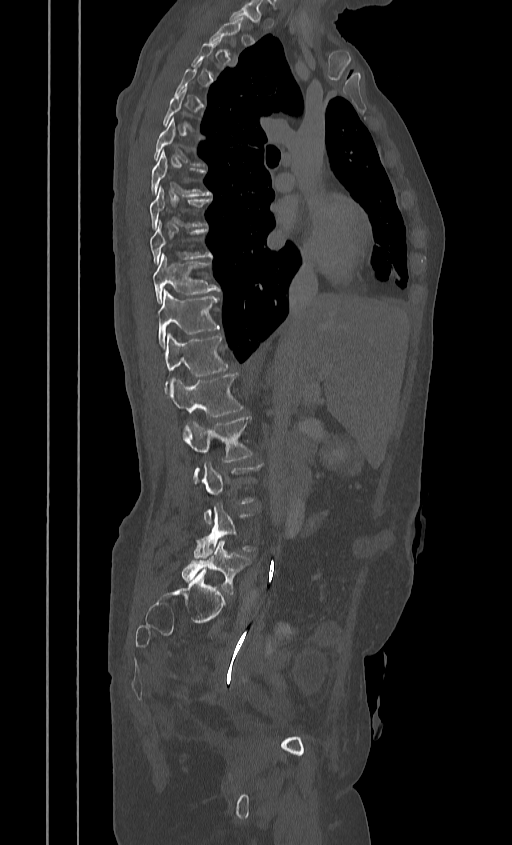
Spine CT — sagittal view — 512x845 px — 384 mm image width
Each vertebra is boxed only on the slices from the first to the last where its cross-section reaches a third of its largest, so a slice outside that range leaves it unboxed.
<vertebrae><v name="T6" x1="152" y1="116" x2="205" y2="166"/><v name="T7" x1="150" y1="151" x2="211" y2="196"/><v name="T8" x1="149" y1="185" x2="211" y2="230"/><v name="T9" x1="150" y1="220" x2="212" y2="264"/><v name="T10" x1="153" y1="253" x2="219" y2="303"/><v name="T11" x1="158" y1="289" x2="219" y2="347"/><v name="T12" x1="165" y1="333" x2="228" y2="390"/><v name="L1" x1="170" y1="373" x2="243" y2="416"/><v name="L2" x1="185" y1="416" x2="253" y2="483"/><v name="L3" x1="202" y1="461" x2="263" y2="524"/><v name="L4" x1="193" y1="503" x2="256" y2="558"/><v name="L5" x1="181" y1="540" x2="251" y2="594"/></vertebrae>